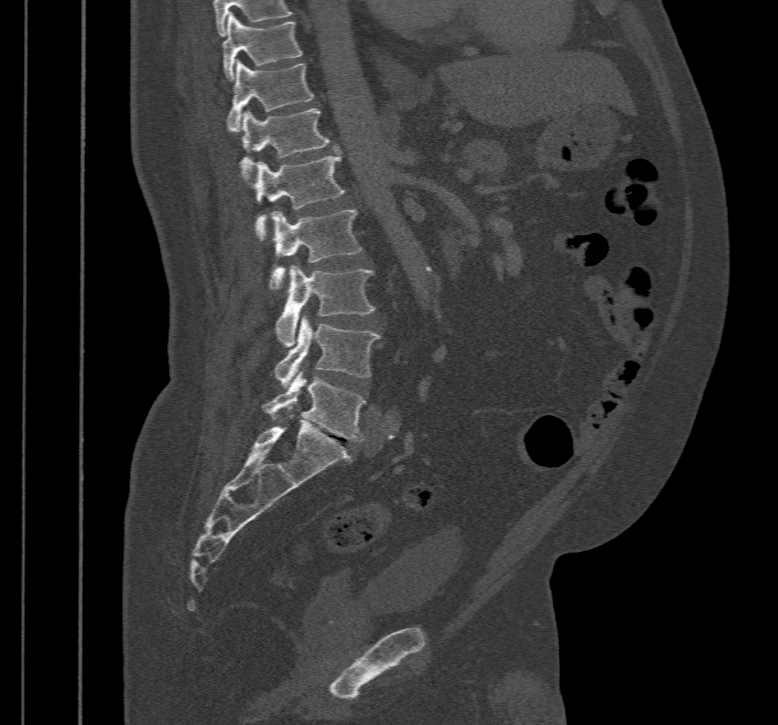 Computed tomography of the spine. sagittal view. 467 mm wide

<vertebrae><v name="L5" x1="261" y1="372" x2="365" y2="441"/><v name="L4" x1="275" y1="319" x2="381" y2="386"/><v name="L3" x1="275" y1="265" x2="376" y2="346"/><v name="L2" x1="268" y1="209" x2="362" y2="291"/><v name="L1" x1="255" y1="152" x2="346" y2="241"/><v name="T12" x1="240" y1="109" x2="329" y2="186"/><v name="T11" x1="227" y1="60" x2="314" y2="131"/><v name="T10" x1="223" y1="12" x2="303" y2="81"/></vertebrae>